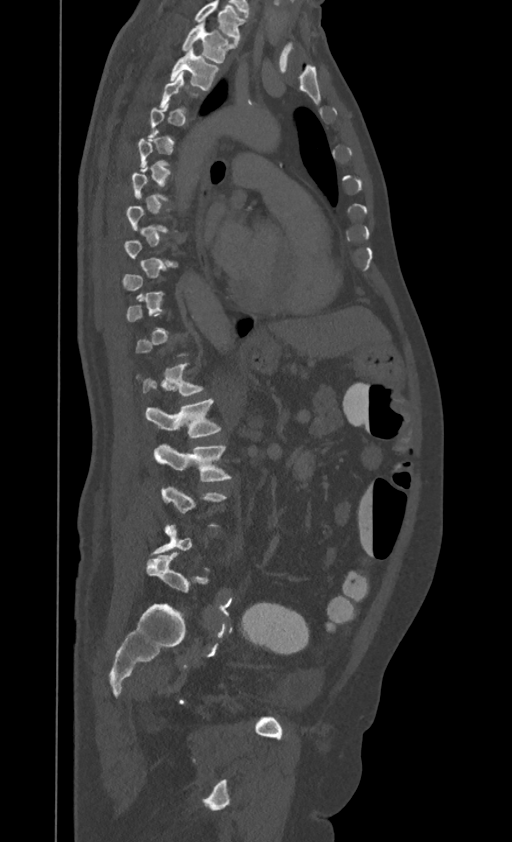

Spine CT; sagittal reformat; Bone window (WL 400, WW 1800); 512x842 px
A vertebra is boxed only from the first to the last slice where its cross-section is at least a third of its largest; slices outside that range leave it without a box.
This scan's labels start at T1 at the top and end at L4 at the bottom.
<vertebrae><v name="T1" x1="183" y1="21" x2="228" y2="62"/><v name="T2" x1="171" y1="47" x2="218" y2="90"/><v name="L1" x1="145" y1="399" x2="219" y2="436"/><v name="L2" x1="154" y1="444" x2="230" y2="481"/></vertebrae>